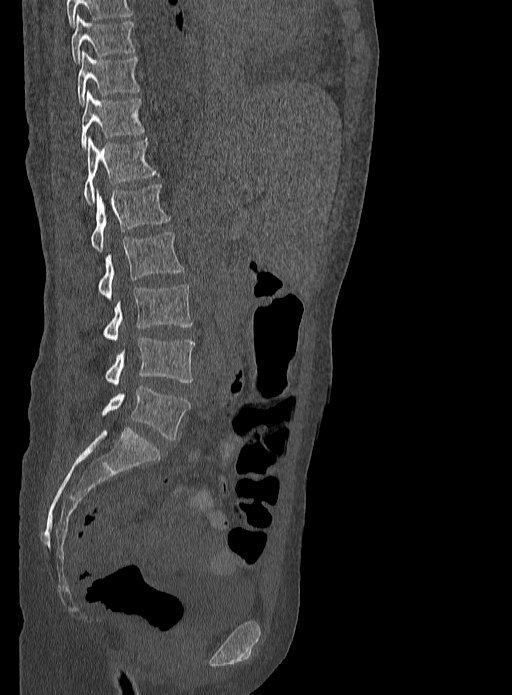 Spine computed tomography; sagittal view; the image is 333 mm wide; W/L 1800/400 HU
<vertebrae><v name="L5" x1="101" y1="386" x2="191" y2="440"/><v name="L4" x1="106" y1="337" x2="194" y2="385"/><v name="L3" x1="103" y1="284" x2="192" y2="340"/><v name="L2" x1="98" y1="232" x2="183" y2="299"/><v name="L1" x1="90" y1="185" x2="169" y2="251"/><v name="T12" x1="83" y1="137" x2="157" y2="203"/><v name="T11" x1="81" y1="92" x2="145" y2="150"/><v name="T10" x1="77" y1="51" x2="140" y2="105"/><v name="T9" x1="70" y1="15" x2="136" y2="64"/></vertebrae>